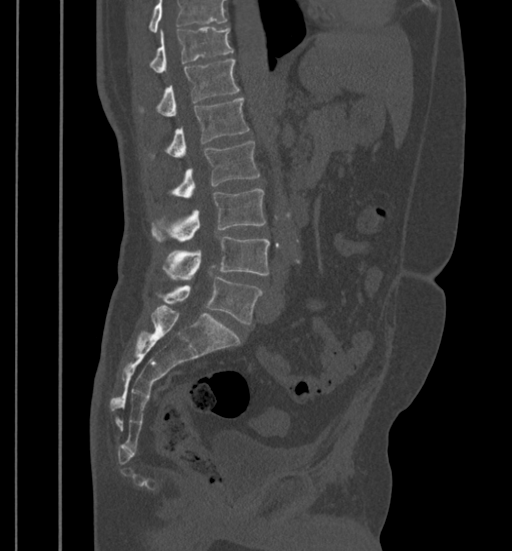

CT — sagittal view — bone window — 512x551 px
Bounding boxes as [x1, y1, x2, y2] in pixel coordinates.
Vertebrae that run past the top of the scan are left unlabeled.
Vertebra bounding boxes:
- T11: [150, 27, 234, 73]
- T12: [158, 59, 239, 117]
- L1: [167, 98, 249, 158]
- L2: [173, 141, 259, 199]
- L3: [153, 188, 266, 241]
- L4: [163, 236, 270, 278]
- L5: [164, 277, 262, 323]